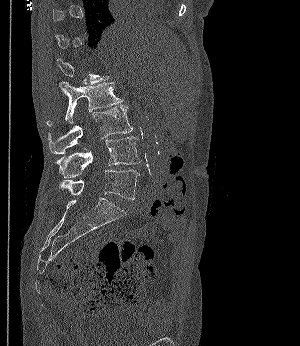

CT. sagittal view. Bone window (WL 400, WW 1800). 300x346 px
Boxes below are [x1, y1, x2, y2] in pixels.
Each vertebra is boxed only on the slices from the first to the last where its cross-section reaches a third of its largest, so a slice outside that range leaves it unboxed.
{"vertebrae":{"L2":[47,82,123,127],"L3":[48,105,132,154],"L4":[55,136,140,177],"L5":[58,169,140,200]}}